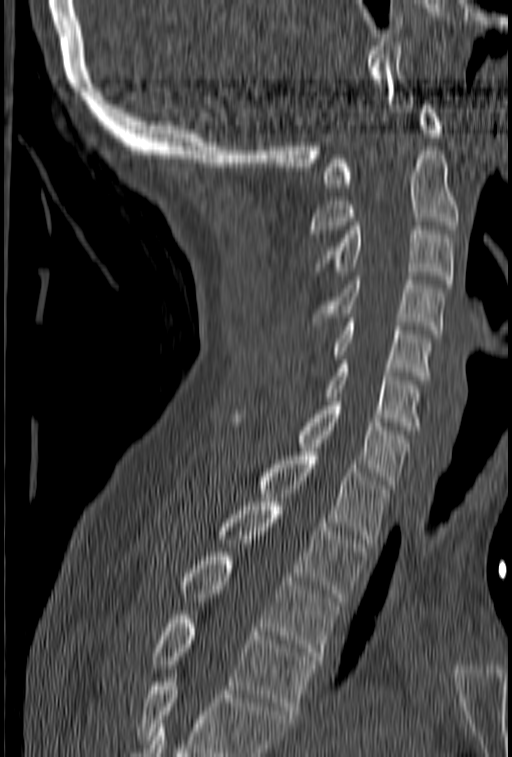
CT spine — sagittal view — bone-window reconstruction
Coordinates as <box>x1,y1,x2,y2</box>.
A vertebra cut off by the bottom edge of the scan is not labeled and has no box.
Vertebra bounding boxes:
- C1: <box>322,105,442,187</box>
- C2: <box>309,146,459,237</box>
- C3: <box>315,226,454,283</box>
- C4: <box>313,276,445,334</box>
- C5: <box>303,314,432,380</box>
- C6: <box>324,360,422,430</box>
- C7: <box>231,397,408,488</box>
- T1: <box>257,452,388,543</box>
- T2: <box>219,502,368,601</box>
- T3: <box>182,552,338,660</box>
- T4: <box>152,615,315,714</box>